CT, spine; sagittal reformat; 11 vertebrae labeled in this scan
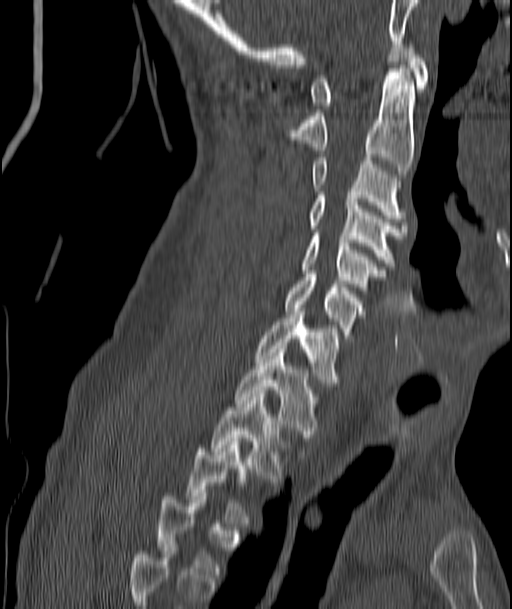
Bounding boxes as [x1, y1, x2, y2] in pixel coordinates.
Each vertebra is boxed only on the slices from the first to the last where its cross-section reaches a third of its largest, so a slice outside that range leaves it unboxed.
C1: [310, 44, 428, 109]
C2: [291, 68, 414, 177]
C3: [313, 157, 402, 218]
C4: [310, 192, 405, 266]
C5: [302, 233, 383, 286]
C6: [286, 274, 364, 334]
C7: [255, 308, 339, 382]
T1: [236, 349, 315, 437]
T2: [212, 394, 279, 478]